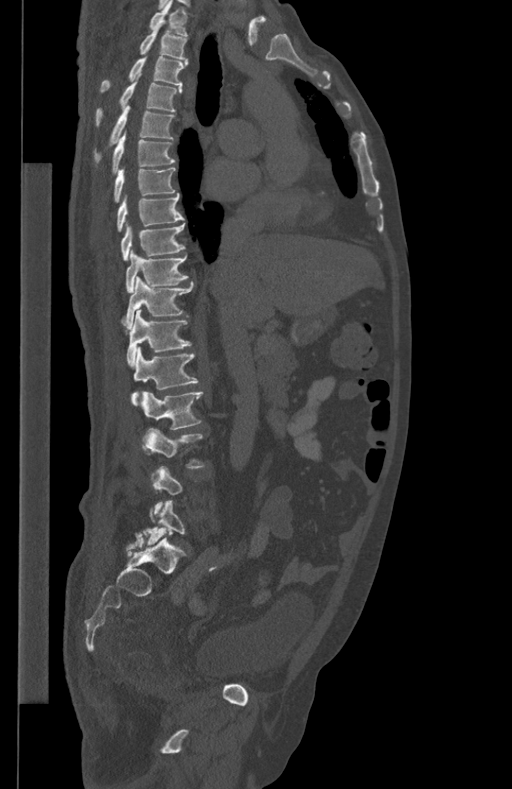 Spine CT — sagittal reformat — 434 mm across the image — Bone window (WL 400, WW 1800)
Not every vertebra on this slice has a box: a vertebra is boxed only from the first to the last slice where its cross-section is at least a third of its largest, and this slice is outside that range for at least one of them.
<vertebrae><v name="T1" x1="150" y1="0" x2="188" y2="35"/><v name="T2" x1="139" y1="22" x2="186" y2="58"/><v name="T3" x1="100" y1="56" x2="188" y2="91"/><v name="T4" x1="95" y1="81" x2="182" y2="126"/><v name="T5" x1="94" y1="106" x2="175" y2="161"/><v name="T6" x1="112" y1="132" x2="175" y2="172"/><v name="T7" x1="114" y1="167" x2="175" y2="202"/><v name="T8" x1="117" y1="193" x2="184" y2="232"/><v name="T9" x1="120" y1="223" x2="184" y2="260"/><v name="T10" x1="126" y1="250" x2="188" y2="292"/><v name="T11" x1="121" y1="277" x2="194" y2="328"/><v name="T12" x1="126" y1="309" x2="191" y2="365"/><v name="L1" x1="132" y1="347" x2="198" y2="406"/><v name="L2" x1="141" y1="392" x2="203" y2="440"/><v name="L3" x1="144" y1="428" x2="204" y2="468"/><v name="L5" x1="144" y1="500" x2="184" y2="543"/></vertebrae>